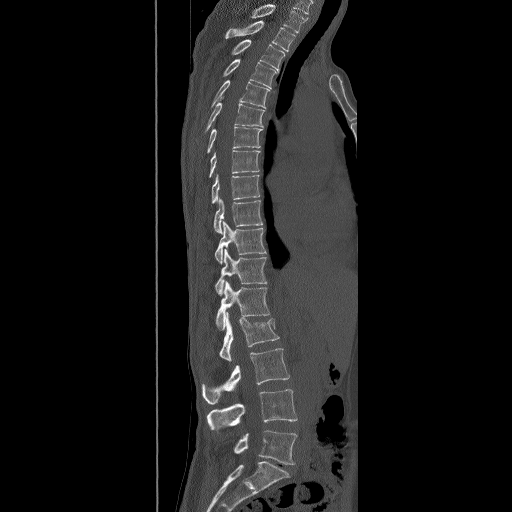

CT, spine — sagittal view
This scan's labels start at T2 at the top and end at L5 at the bottom.
<vertebrae><v name="L5" x1="233" y1="430" x2="297" y2="465"/><v name="L4" x1="206" y1="389" x2="297" y2="433"/><v name="L3" x1="202" y1="348" x2="290" y2="404"/><v name="L2" x1="219" y1="312" x2="279" y2="361"/><v name="L1" x1="216" y1="281" x2="270" y2="330"/><v name="T12" x1="214" y1="248" x2="267" y2="296"/><v name="T11" x1="214" y1="221" x2="266" y2="264"/><v name="T10" x1="214" y1="197" x2="263" y2="233"/><v name="T9" x1="211" y1="174" x2="260" y2="204"/><v name="T8" x1="209" y1="150" x2="260" y2="177"/><v name="T7" x1="207" y1="126" x2="263" y2="153"/><v name="T6" x1="205" y1="96" x2="265" y2="132"/><v name="T5" x1="211" y1="79" x2="270" y2="108"/><v name="T4" x1="223" y1="59" x2="278" y2="88"/><v name="T3" x1="231" y1="39" x2="284" y2="70"/><v name="T2" x1="225" y1="20" x2="296" y2="51"/></vertebrae>